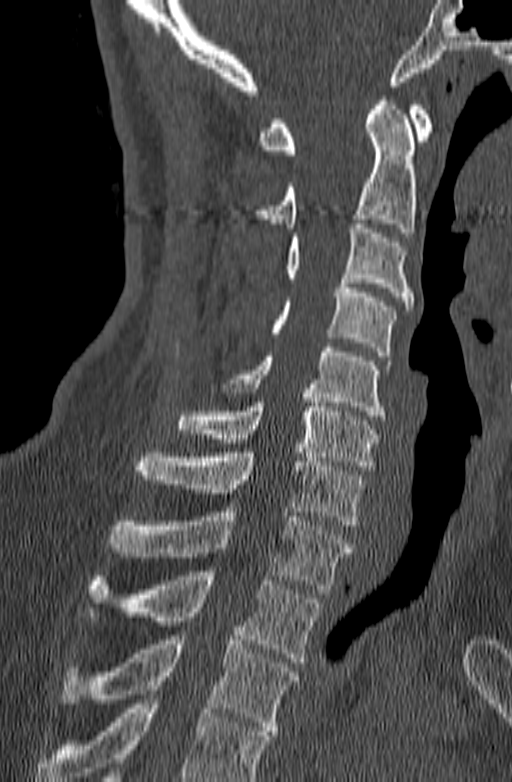
Computed tomography of the spine · sagittal view · 512x782 px
Boxes: x1:y1:x2:y2 in pixels. A vertebra cut off by the bottom edge of the scan is not labeled and has no box. 10 vertebrae labeled — C1 at 257:101:433:154; C2 at 252:96:418:232; C3 at 287:224:413:310; C4 at 271:279:395:356; C5 at 222:347:391:420; C6 at 177:393:377:470; C7 at 133:453:366:525; T1 at 107:507:353:593; T2 at 85:571:320:662; T3 at 61:631:297:735.